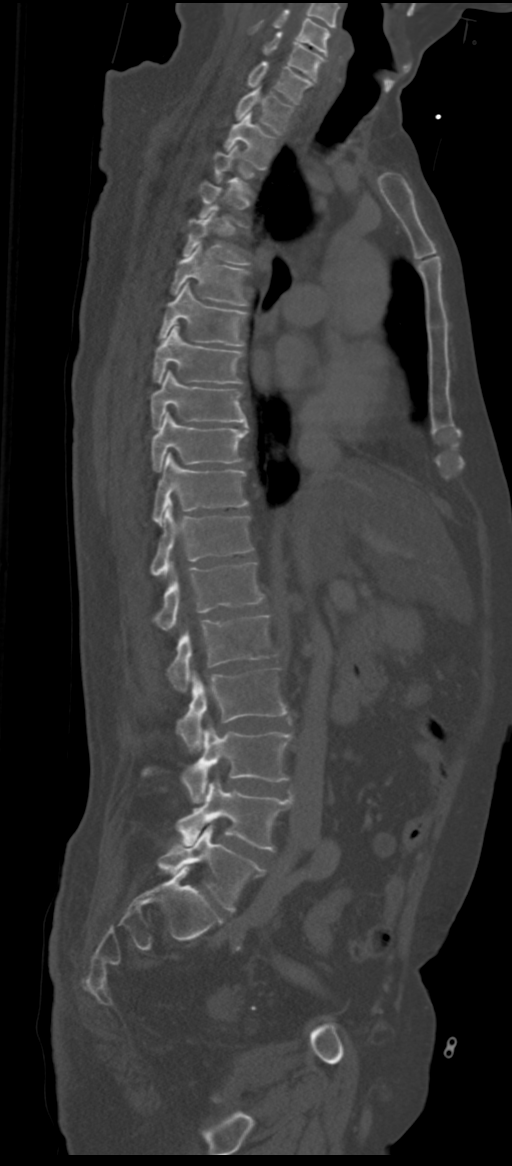

Computed tomography of the spine; sagittal view; bone-window reconstruction; 512x1166 px
Each box given as x1,y1,x2,y2.
A vertebra is boxed only from the first to the last slice where its cross-section is at least a third of its largest; slices outside that range leave it without a box.
These labels give the spine a sixth lumbar vertebra, L6, below L5.
| vertebra | x1 | y1 | x2 | y2 |
|---|---|---|---|---|
| C5 | 252 | 9 | 330 | 54 |
| C6 | 262 | 32 | 324 | 80 |
| C7 | 247 | 61 | 312 | 103 |
| T1 | 236 | 88 | 292 | 134 |
| T2 | 224 | 112 | 274 | 167 |
| T5 | 183 | 206 | 250 | 264 |
| T6 | 172 | 242 | 248 | 306 |
| T7 | 160 | 282 | 246 | 345 |
| T8 | 153 | 325 | 243 | 383 |
| T9 | 150 | 371 | 248 | 429 |
| T10 | 152 | 412 | 248 | 472 |
| T11 | 153 | 453 | 248 | 525 |
| T12 | 150 | 501 | 253 | 576 |
| L1 | 153 | 562 | 263 | 630 |
| L2 | 167 | 615 | 273 | 691 |
| L3 | 176 | 667 | 287 | 752 |
| L4 | 144 | 727 | 291 | 803 |
| L5 | 176 | 778 | 292 | 851 |
| L6 | 158 | 824 | 264 | 912 |